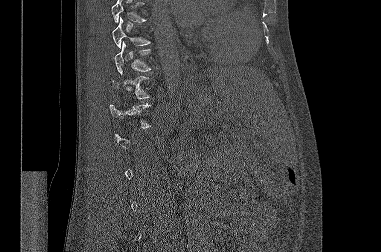
Computed tomography of the spine — sagittal reformat — W/L 1800/400 HU — 381x252 px
Boxes are (x1, y1, x2, y2) in pixels.
Not every vertebra on this slice has a box: a vertebra is boxed only from the first to the last slice where its cross-section is at least a third of its largest, and this slice is outside that range for at least one of them.
Vertebrae that run past the top of the scan are left unlabeled.
Vertebra bounding boxes:
- T12: (109, 104, 150, 128)
- T11: (112, 73, 149, 99)
- T10: (114, 41, 151, 73)
- T9: (111, 17, 150, 48)